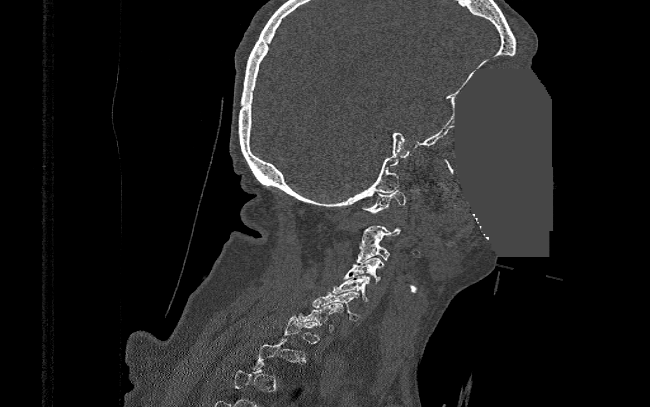

Spine CT · sagittal view · bone-window reconstruction · 650x407 px · an area of the scan was removed and filled with constant pixels

Each vertebra is boxed only on the slices from the first to the last where its cross-section reaches a third of its largest, so a slice outside that range leaves it unboxed.
<vertebrae><v name="C1" x1="362" y1="190" x2="405" y2="213"/><v name="C3" x1="357" y1="241" x2="390" y2="262"/><v name="C4" x1="343" y1="256" x2="382" y2="283"/><v name="C5" x1="333" y1="275" x2="370" y2="301"/><v name="C6" x1="312" y1="292" x2="362" y2="319"/><v name="C7" x1="298" y1="303" x2="344" y2="331"/></vertebrae>